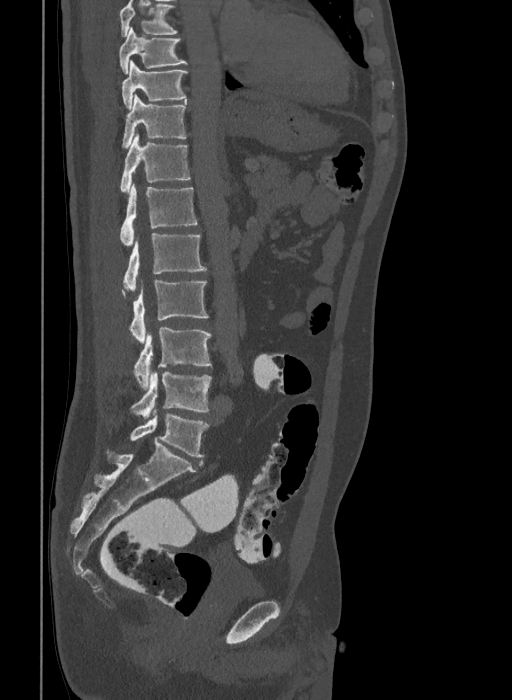 CT, spine. sagittal view. bone-window reconstruction. 512x700 px. the image is 409 mm wide

Box values are [left, top, right, bottom] in pixels.
The highest labeled vertebra in this scan is T9; the lowest is L6.
The labels name a sixth lumbar vertebra for this spine: L6, after L5.
{"vertebrae":{"L6":[130,413,208,456],"L5":[131,372,212,418],"L4":[134,327,212,389],"L3":[121,281,208,343],"L2":[123,233,207,291],"L1":[120,183,197,246],"T12":[120,134,190,192],"T11":[122,95,187,148],"T10":[121,60,187,109],"T9":[119,27,188,73]}}